Computed tomography of the spine · sagittal plane, index 242
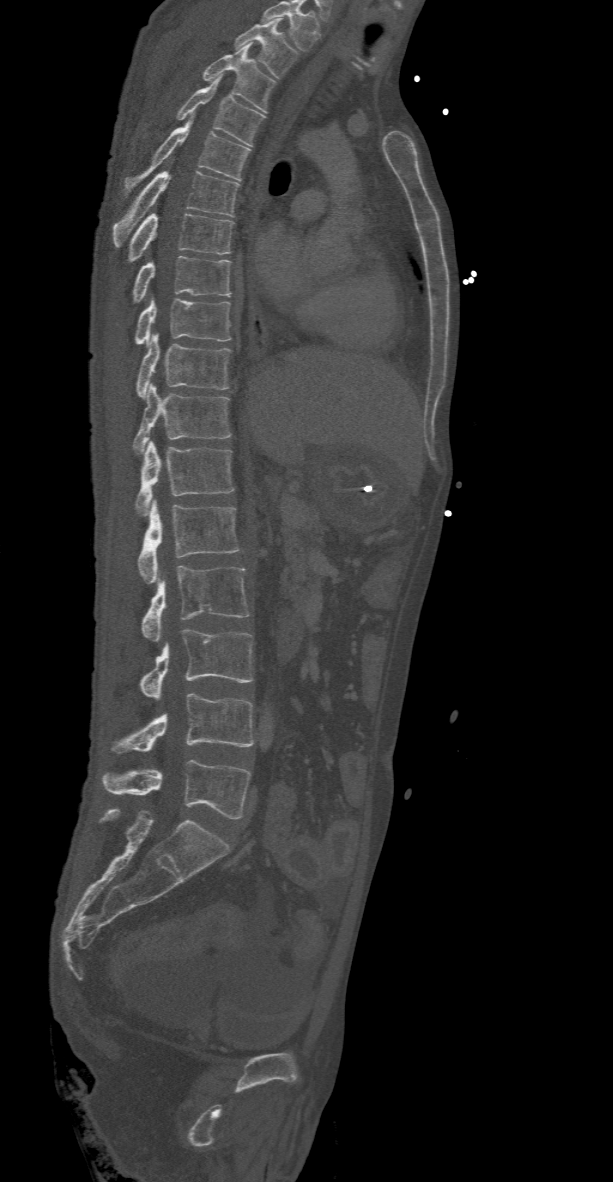 Box values are [left, top, right, bottom] in pixels.
Labels in this scan begin with T2 at the top and end with L5 at the bottom.
{"vertebrae":{"T2":[234,18,297,78],"T3":[201,44,276,111],"T4":[146,74,265,146],"T5":[123,117,251,196],"T6":[113,171,239,246],"T7":[128,212,234,261],"T8":[133,256,230,301],"T9":[134,296,230,346],"T10":[137,332,230,398],"T11":[133,382,233,453],"T12":[134,439,234,516],"L1":[138,499,239,583],"L2":[141,566,251,641],"L3":[140,629,252,700],"L4":[113,692,254,753],"L5":[102,759,251,818]}}